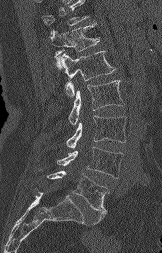
Spine computed tomography — sagittal view
No box is given to a vertebra that the top edge of the scan cuts off.
<vertebrae><v name="L5" x1="47" y1="171" x2="108" y2="224"/><v name="L4" x1="56" y1="146" x2="122" y2="178"/><v name="L3" x1="66" y1="115" x2="126" y2="148"/><v name="L2" x1="68" y1="80" x2="124" y2="125"/><v name="L1" x1="60" y1="51" x2="116" y2="97"/><v name="T12" x1="48" y1="21" x2="99" y2="68"/></vertebrae>